Spine computed tomography — sagittal plane, index 274 — Bone window (WL 400, WW 1800) — 7 vertebrae labeled in this scan
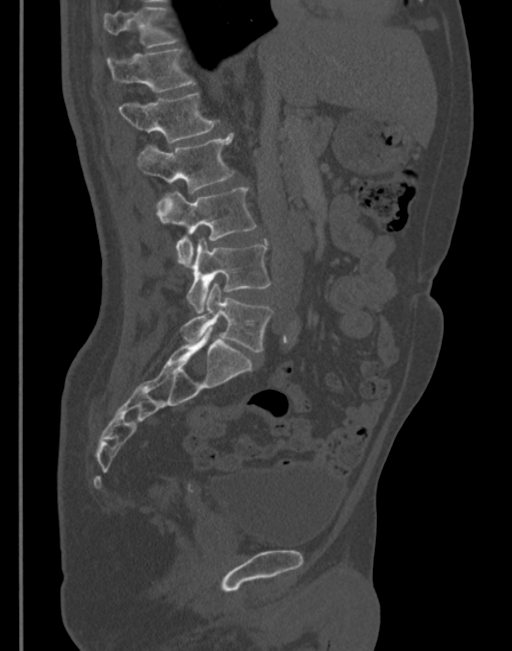 Boxes below are [x1, y1, x2, y2] in pixels.
{"vertebrae":{"T11":[104,7,178,48],"T12":[107,49,195,92],"L1":[118,93,218,143],"L2":[138,133,235,193],"L3":[157,188,257,269],"L4":[187,239,270,312],"L5":[181,283,273,352]}}